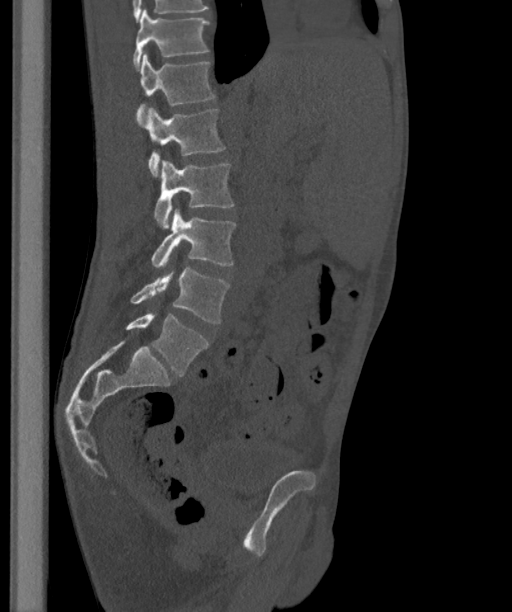

CT, spine — sagittal view — bone window — 512x612 px

These labels give the spine a sixth lumbar vertebra, L6, below L5.
<vertebrae><v name="L6" x1="125" y1="312" x2="208" y2="375"/><v name="L5" x1="131" y1="268" x2="229" y2="323"/><v name="L4" x1="152" y1="208" x2="236" y2="268"/><v name="L3" x1="154" y1="160" x2="233" y2="229"/><v name="L2" x1="144" y1="107" x2="224" y2="177"/><v name="L1" x1="136" y1="52" x2="215" y2="126"/><v name="T12" x1="132" y1="9" x2="209" y2="70"/></vertebrae>